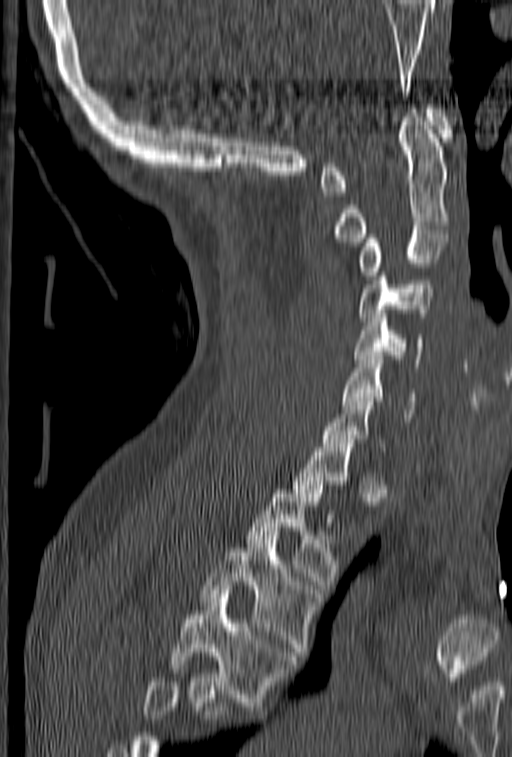

CT spine; sagittal view; bone window; 512x757 px; 153 mm image width
Bounding boxes as [x1, y1, x2, y2] in pixel coordinates.
Each vertebra is boxed only on the slices from the first to the last where its cross-section reaches a third of its largest, so a slice outside that range leaves it unboxed.
No box is given to a vertebra that the bottom edge of the scan cuts off.
T4: [168, 590, 298, 710]
T3: [200, 535, 320, 660]
T2: [247, 485, 338, 585]
C7: [322, 389, 385, 451]
C6: [343, 356, 416, 421]
C5: [353, 310, 423, 371]
C4: [359, 264, 432, 325]
C3: [359, 230, 447, 279]
C2: [335, 109, 451, 246]
C1: [319, 105, 452, 196]